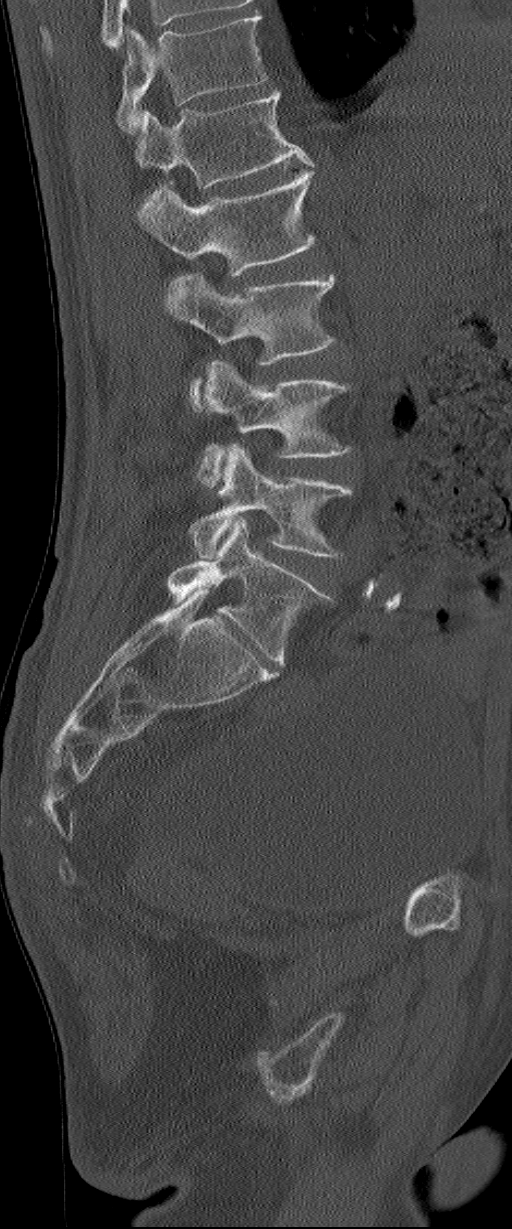

CT spine; sagittal view; bone-window reconstruction; 512x1229 px. In the table, x1 and y1 are a box's top-left corner and x2 and y2 its bottom-right corner, in pixels.
Labels in this scan begin with L1 at the top and end with L6 at the bottom.
In these labels the spine has an L6, a sixth lumbar vertebra below L5.
| vertebra | x1 | y1 | x2 | y2 |
|---|---|---|---|---|
| L1 | 135 | 90 | 312 | 189 |
| L2 | 137 | 169 | 315 | 299 |
| L3 | 166 | 274 | 336 | 409 |
| L4 | 195 | 361 | 352 | 486 |
| L5 | 190 | 442 | 352 | 557 |
| L6 | 166 | 518 | 331 | 664 |